CT, spine; sagittal reformat; the image is 210 mm wide; bone-window reconstruction
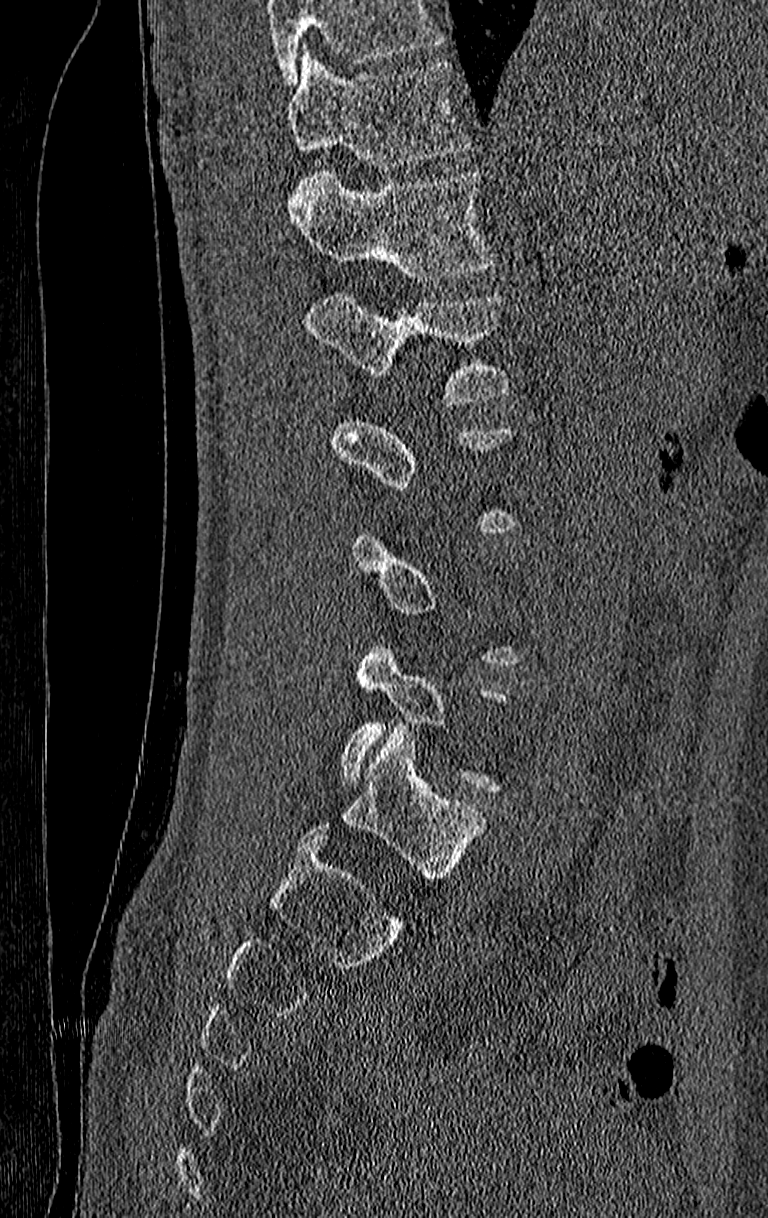

Not every vertebra on this slice has a box: a vertebra is boxed only from the first to the last slice where its cross-section is at least a third of its largest, and this slice is outside that range for at least one of them.
Where the top of the scan cuts through a vertebra, that vertebra gets no label or box.
<vertebrae><v name="T11" x1="288" y1="46" x2="469" y2="169"/><v name="T12" x1="288" y1="173" x2="495" y2="282"/><v name="L1" x1="306" y1="290" x2="513" y2="405"/></vertebrae>